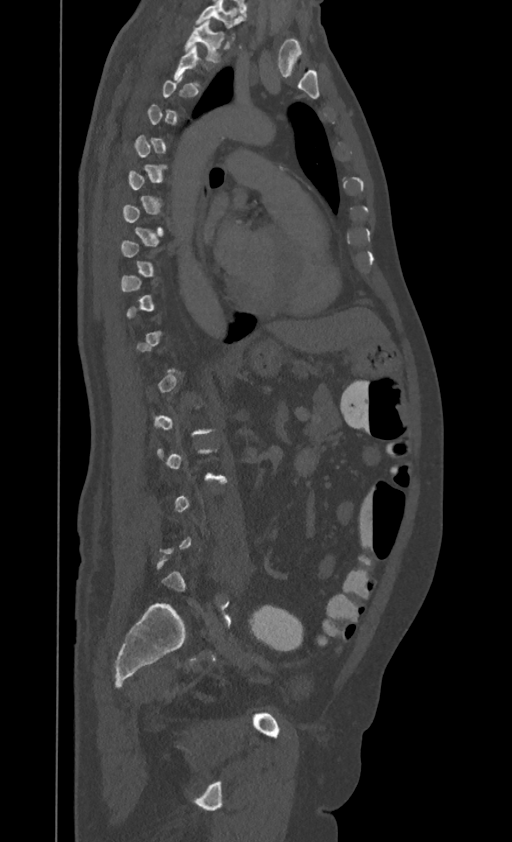

CT, spine. sagittal view. bone-window reconstruction. 395 mm image width
Boxes below are [x1, y1, x2, y2] in pixels.
Each vertebra is boxed only on the slices from the first to the last where its cross-section reaches a third of its largest, so a slice outside that range leaves it unboxed.
In this scan, the topmost labeled vertebra is T1 and the lowest is L4.
{"vertebrae":{"T1":[184,21,224,62],"T2":[172,45,208,85]}}